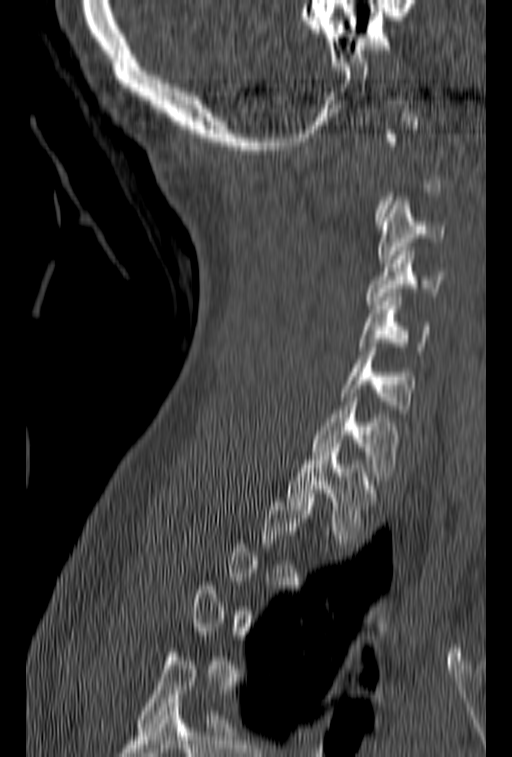

CT spine · 153 mm wide · sagittal view
Boxes: x1:y1:x2:y2 in pixels.
Each vertebra is boxed only on the slices from the first to the last where its cross-section reaches a third of its largest, so a slice outside that range leaves it unboxed.
C3: 378:197:445:263
C4: 366:247:445:309
C5: 359:293:432:350
C6: 340:343:415:413
C7: 312:393:398:484
T1: 287:452:380:543